Computed tomography of the spine; sagittal view; W/L 1800/400 HU; 204x205 px
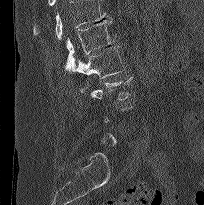

In the table, x1 and y1 are a box's top-left corner and x2 and y2 its bottom-right corner, in pixels.
A vertebra is boxed only from the first to the last slice where its cross-section is at least a third of its largest; slices outside that range leave it without a box.
Vertebrae that run past the top of the scan are left unlabeled.
| vertebra | x1 | y1 | x2 | y2 |
|---|---|---|---|---|
| L1 | 65 | 20 | 116 | 72 |
| L2 | 76 | 45 | 125 | 78 |
| L3 | 80 | 76 | 133 | 100 |